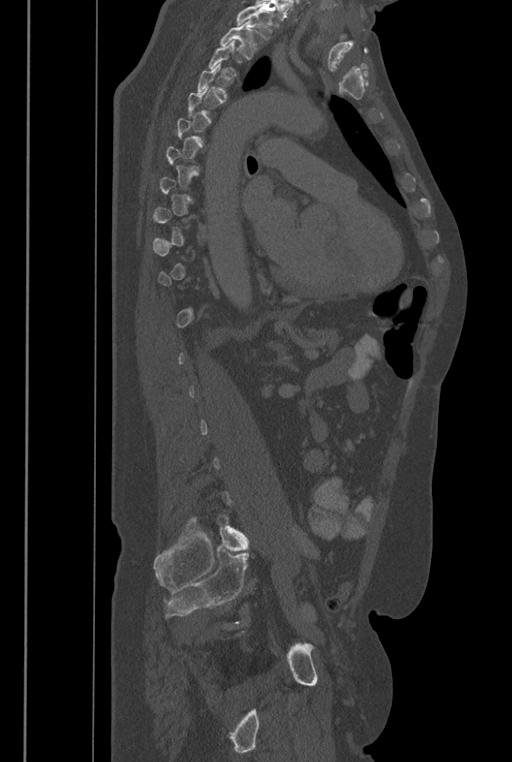
Computed tomography of the spine; sagittal view; Bone window (WL 400, WW 1800)
Bounding boxes as [x1, y1, x2, y2] in pixel coordinates.
A vertebra is boxed only from the first to the last slice where its cross-section is at least a third of its largest; slices outside that range leave it without a box.
Where the top of the scan cuts through a vertebra, that vertebra gets no label or box.
In these labels the spine has an L6, a sixth lumbar vertebra below L5.
Vertebra bounding boxes:
- T2: [219, 21, 258, 59]
- L6: [216, 515, 249, 551]